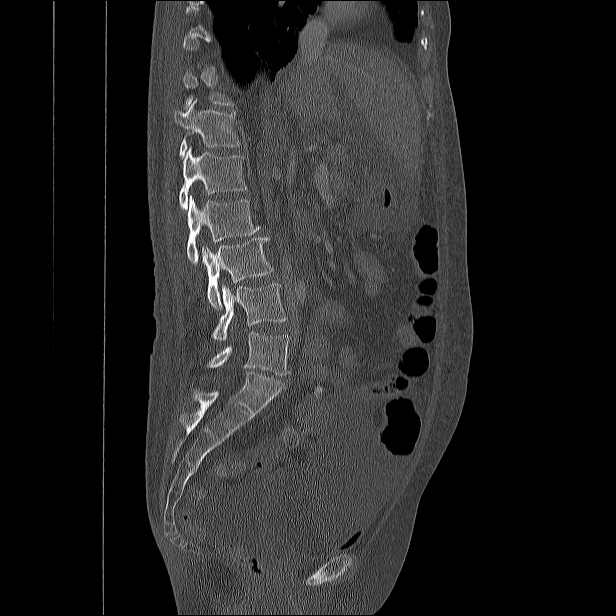

CT. sagittal reformat
Boxes are (x1, y1, x2, y2) in pixels. A vertebra gets a box only on the slices from the first to the last where its cross-section is at least a third of its largest; on a slice outside that range it gets none. Vertebrae labeled: L5 at (207, 331, 289, 375), L4 at (212, 284, 286, 340), L3 at (202, 238, 272, 308), L2 at (186, 195, 260, 263), L1 at (179, 147, 247, 208), T12 at (174, 98, 239, 157).